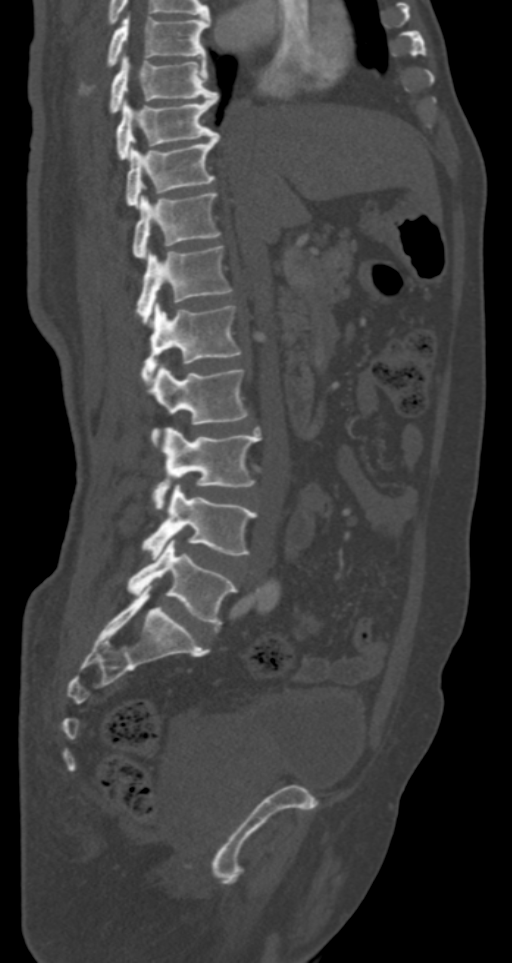 CT. sagittal view. Bone window (WL 400, WW 1800). 512x963 px
In the table, x1 and y1 are a box's top-left corner and x2 and y2 its bottom-right corner, in pixels.
| vertebra | x1 | y1 | x2 | y2 |
|---|---|---|---|---|
| T7 | 80 | 16 | 209 | 96 |
| T8 | 108 | 56 | 218 | 115 |
| T9 | 116 | 94 | 218 | 159 |
| T10 | 124 | 134 | 220 | 205 |
| T11 | 132 | 192 | 222 | 257 |
| T12 | 137 | 246 | 232 | 324 |
| L1 | 142 | 303 | 241 | 386 |
| L2 | 151 | 366 | 248 | 449 |
| L3 | 153 | 428 | 261 | 511 |
| L4 | 142 | 485 | 257 | 558 |
| L5 | 128 | 538 | 238 | 625 |